Computed tomography of the spine · 386 mm image width · sagittal reformat
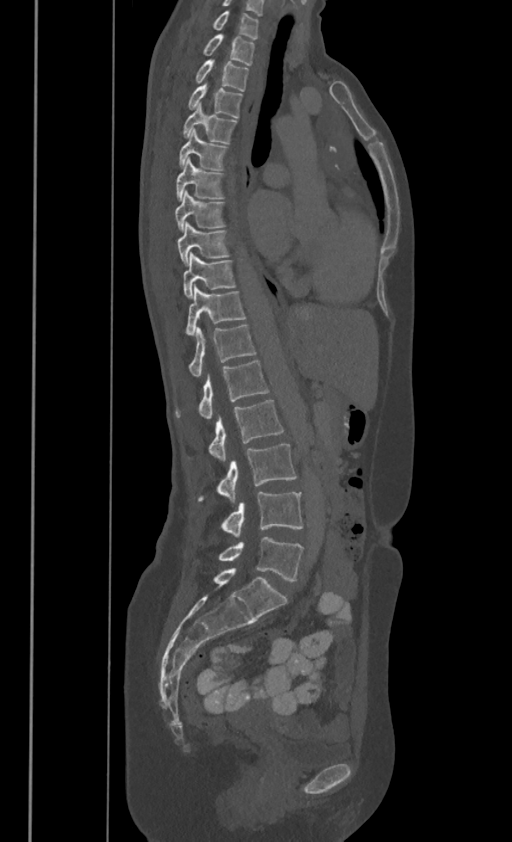

Each box given as x1,y1,x2,y2. In these labels the spine has no T12: the thoracic vertebrae end at T11, and L1 comes next. 17 vertebrae labeled — L5 at x1=219, y1=537, x2=303, y2=580; L4 at x1=221, y1=492, x2=303, y2=537; L3 at x1=199, y1=444, x2=296, y2=503; L2 at x1=209, y1=399, x2=283, y2=461; L1 at x1=176, y1=359, x2=268, y2=418; T11 at x1=190, y1=324, x2=255, y2=375; T10 at x1=186, y1=285, x2=244, y2=334; T9 at x1=183, y1=252, x2=235, y2=296; T8 at x1=178, y1=221, x2=228, y2=264; T7 at x1=175, y1=191, x2=223, y2=229; T6 at x1=176, y1=158, x2=223, y2=198; T5 at x1=179, y1=128, x2=226, y2=169; T4 at x1=183, y1=101, x2=236, y2=142; T3 at x1=188, y1=80, x2=242, y2=117; T2 at x1=196, y1=58, x2=248, y2=90; T1 at x1=204, y1=32, x2=254, y2=63; C7 at x1=213, y1=8, x2=257, y2=38.